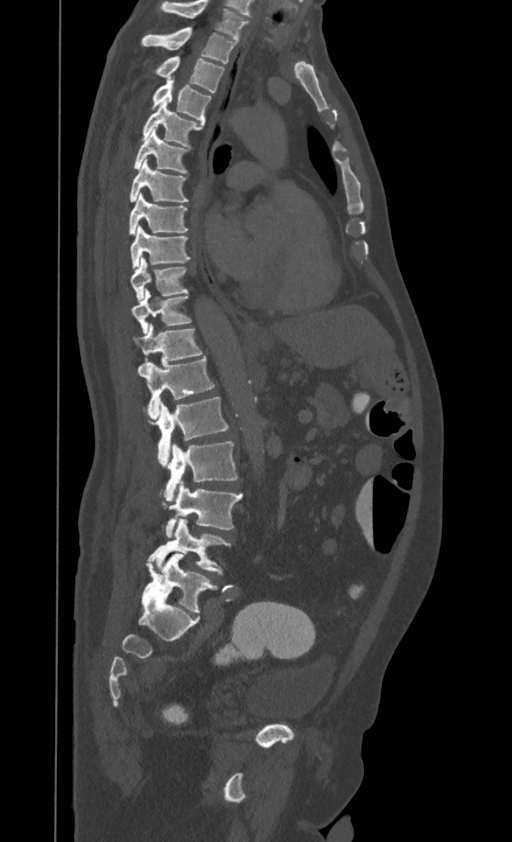 Spine CT; sagittal view

This scan's labels start at T1 at the top and end at L4 at the bottom.
<vertebrae><v name="L4" x1="148" y1="518" x2="230" y2="574"/><v name="L3" x1="166" y1="481" x2="243" y2="537"/><v name="L2" x1="164" y1="442" x2="237" y2="501"/><v name="L1" x1="153" y1="397" x2="227" y2="467"/><v name="T12" x1="144" y1="356" x2="214" y2="419"/><v name="T11" x1="133" y1="324" x2="201" y2="372"/><v name="T10" x1="132" y1="289" x2="191" y2="334"/><v name="T9" x1="131" y1="257" x2="187" y2="302"/><v name="T8" x1="131" y1="225" x2="189" y2="268"/><v name="T7" x1="129" y1="192" x2="187" y2="233"/><v name="T6" x1="129" y1="160" x2="188" y2="202"/><v name="T5" x1="133" y1="128" x2="187" y2="173"/><v name="T4" x1="142" y1="99" x2="204" y2="147"/><v name="T3" x1="152" y1="78" x2="210" y2="121"/><v name="T2" x1="155" y1="56" x2="224" y2="92"/><v name="T1" x1="141" y1="27" x2="236" y2="63"/></vertebrae>